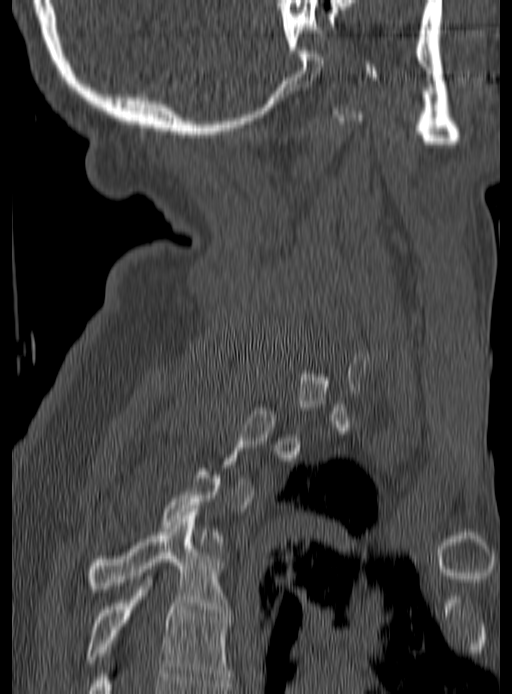 CT, spine — sagittal reformat — Bone window (WL 400, WW 1800) — 512x694 px
Boxes below are [x1, y1, x2, y2] in pixels.
A vertebra gets a box only on the slices from the first to the last where its cross-section is at least a third of its largest; on a slice outside that range it gets none.
{"vertebrae":{"T4":[87,512,229,612],"T5":[87,579,229,683]}}